CT, spine · sagittal view · bone-window reconstruction · 17 vertebrae labeled in this scan
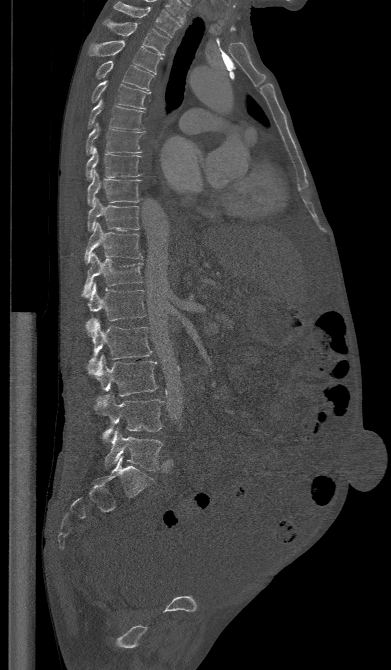
<vertebrae><v name="T1" x1="114" y1="2" x2="180" y2="37"/><v name="T2" x1="103" y1="19" x2="169" y2="55"/><v name="T3" x1="88" y1="40" x2="162" y2="74"/><v name="T4" x1="96" y1="60" x2="153" y2="90"/><v name="T5" x1="91" y1="80" x2="151" y2="110"/><v name="T6" x1="87" y1="100" x2="144" y2="129"/><v name="T7" x1="85" y1="123" x2="144" y2="154"/><v name="T8" x1="86" y1="147" x2="141" y2="179"/><v name="T9" x1="87" y1="170" x2="140" y2="206"/><v name="T10" x1="87" y1="198" x2="139" y2="231"/><v name="T11" x1="84" y1="222" x2="142" y2="263"/><v name="T12" x1="82" y1="253" x2="144" y2="297"/><v name="L1" x1="88" y1="283" x2="146" y2="320"/><v name="L2" x1="86" y1="318" x2="152" y2="370"/><v name="L3" x1="87" y1="355" x2="157" y2="396"/><v name="L4" x1="94" y1="393" x2="163" y2="442"/><v name="L5" x1="104" y1="428" x2="163" y2="470"/></vertebrae>